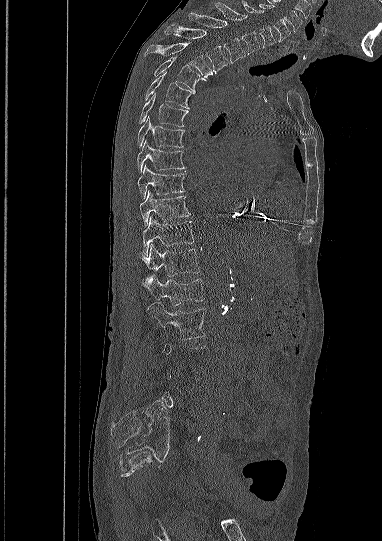
CT, spine; sagittal view; 382 mm image width; 382x541 px
Each vertebra maps to its box as [x1, y1, x2, y2], the pixel coordinates of its top-left and bottom-right corners.
A vertebra gets a box only on the slices from the first to the last where its cross-section is at least a third of its largest; on a slice outside that range it gets none.
{"vertebrae":{"C5":[259,3,290,41],"C6":[241,0,275,47],"C7":[215,2,260,54],"T1":[188,13,245,63],"T2":[165,25,228,73],"T3":[143,43,212,77],"T4":[154,55,206,93],"T5":[144,72,192,108],"T6":[139,93,188,127],"T7":[137,116,185,147],"T8":[137,140,184,172],"T9":[137,165,185,199],"T10":[139,191,190,226],"T11":[142,216,194,256],"T12":[141,244,200,276],"L1":[142,275,204,305],"L2":[147,302,206,338]}}